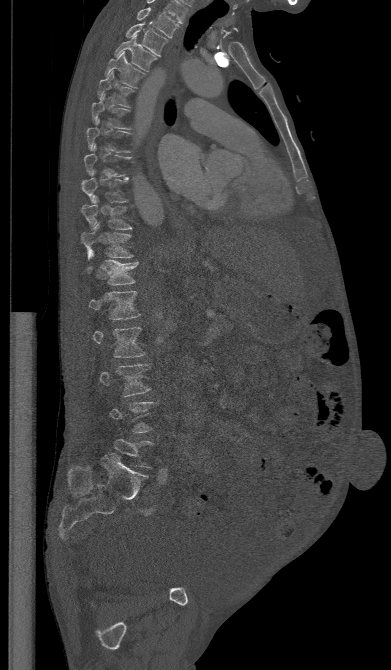 CT; 391 mm image width; sagittal view

A vertebra is boxed only from the first to the last slice where its cross-section is at least a third of its largest; slices outside that range leave it without a box.
<vertebrae><v name="L3" x1="100" y1="364" x2="150" y2="396"/><v name="L2" x1="92" y1="327" x2="145" y2="357"/><v name="L1" x1="88" y1="291" x2="140" y2="320"/><v name="T12" x1="79" y1="251" x2="139" y2="285"/><v name="T11" x1="81" y1="222" x2="133" y2="259"/><v name="T10" x1="81" y1="196" x2="132" y2="229"/><v name="T9" x1="81" y1="177" x2="129" y2="202"/><v name="T8" x1="84" y1="144" x2="130" y2="176"/><v name="T7" x1="86" y1="118" x2="130" y2="152"/><v name="T6" x1="91" y1="94" x2="131" y2="129"/><v name="T5" x1="97" y1="70" x2="134" y2="107"/><v name="T4" x1="105" y1="51" x2="145" y2="88"/><v name="T3" x1="114" y1="34" x2="157" y2="71"/><v name="T2" x1="125" y1="21" x2="167" y2="57"/><v name="T1" x1="137" y1="7" x2="179" y2="38"/></vertebrae>